Computed tomography of the spine. the image spans 342 mm across. Sagittal slice 304/512
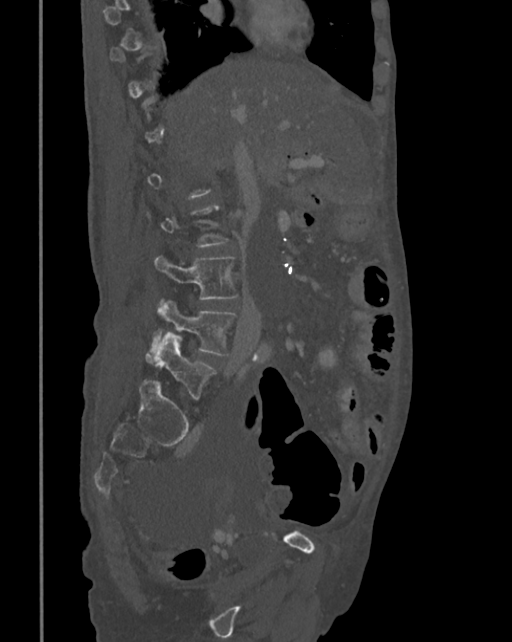

A vertebra is boxed only from the first to the last slice where its cross-section is at least a third of its largest; slices outside that range leave it without a box.
<vertebrae><v name="L3" x1="154" y1="255" x2="238" y2="299"/><v name="L4" x1="144" y1="300" x2="237" y2="364"/><v name="L5" x1="154" y1="333" x2="214" y2="399"/></vertebrae>